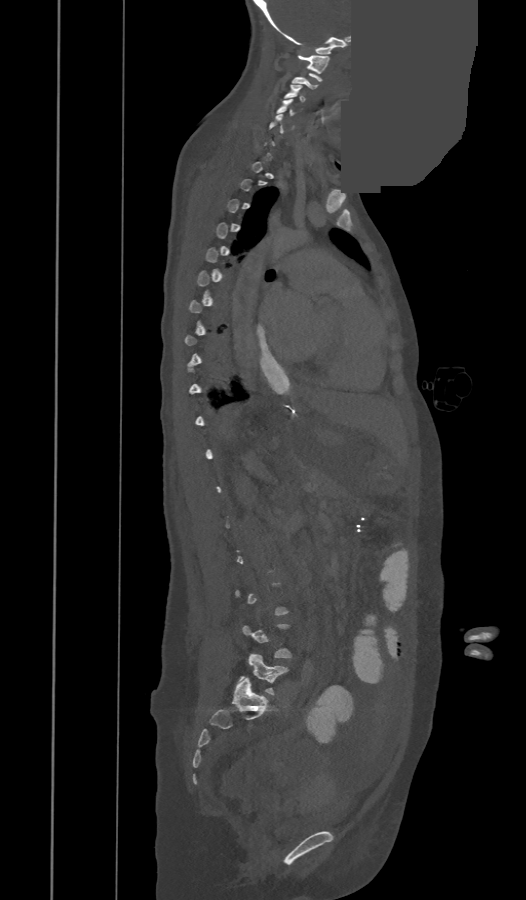 CT, spine. sagittal view. part of the image is a flat gray fill, not anatomy
Boxes are (x1, y1, x2, y2) in pixels.
Each vertebra is boxed only on the slices from the first to the last where its cross-section reaches a third of its largest, so a slice outside that range leaves it unboxed.
C1: (297, 55, 329, 73)
C2: (292, 72, 322, 88)
C3: (284, 84, 306, 101)
C4: (276, 99, 297, 115)
C5: (269, 113, 294, 132)
L5: (239, 653, 288, 695)